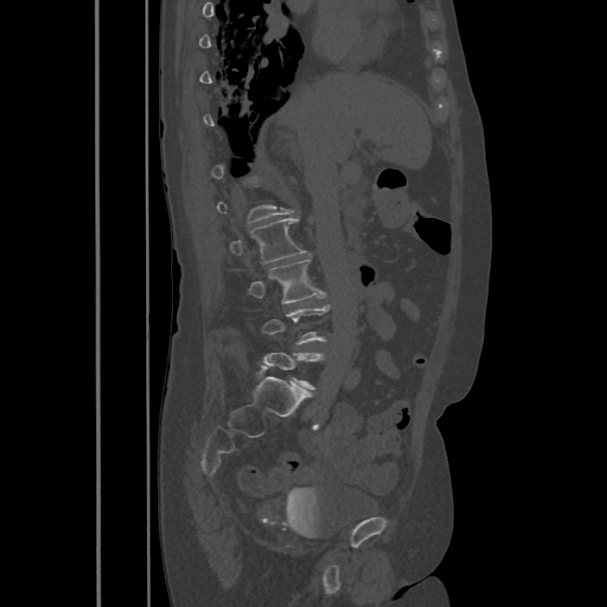

CT spine — sagittal view
Box edges are left/top/right/bottom in pixels.
A vertebra is boxed only from the first to the last slice where its cross-section is at least a third of its largest; slices outside that range leave it without a box.
Vertebra bounding boxes:
- L2: left=230, top=217, right=306, bottom=262
- L3: left=249, top=257, right=322, bottom=304